Spine CT — sagittal plane, index 40 — 9 vertebrae labeled in this scan — a region of this slice is masked with a uniform fill
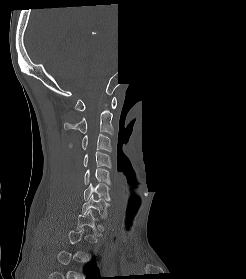

Each box given as x1,y1,x2,y2. Not every vertebra on this slice has a box: a vertebra is boxed only from the first to the last slice where its cross-section is at least a third of its largest, and this slice is outside that range for at least one of them. Vertebrae labeled: C1 at x1=75, y1=97, x2=116, y2=111, C2 at x1=64, y1=109, x2=112, y2=134, C3 at x1=69, y1=133, x2=111, y2=152, C4 at x1=83, y1=150, x2=111, y2=168, C5 at x1=84, y1=168, x2=111, y2=184, C6 at x1=84, y1=183, x2=110, y2=200, C7 at x1=82, y1=194, x2=110, y2=217, T1 at x1=77, y1=209, x2=102, y2=236.